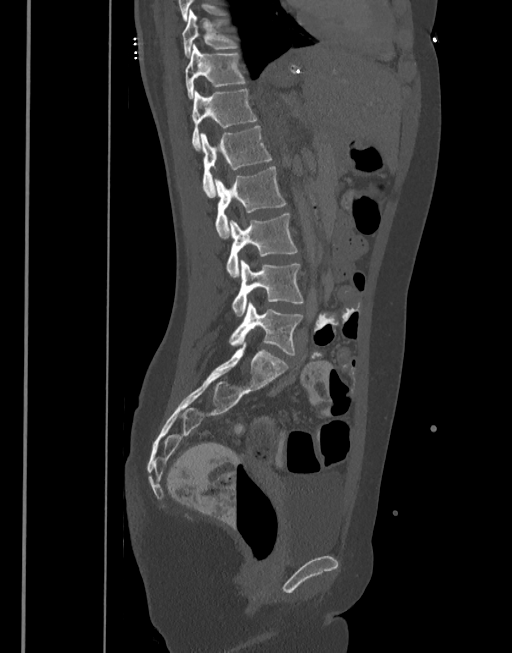 CT spine. sagittal view. Bone window (WL 400, WW 1800). 377 mm across the image
Boxes: x1:y1:x2:y2 in pixels.
Vertebra bounding boxes:
- T10: 182:10:236:58
- T11: 185:44:245:98
- T12: 191:89:257:151
- L1: 201:126:272:197
- L2: 214:166:285:237
- L3: 227:213:298:276
- L4: 232:259:303:316
- L5: 229:302:303:355